Spine computed tomography; sagittal plane, index 153
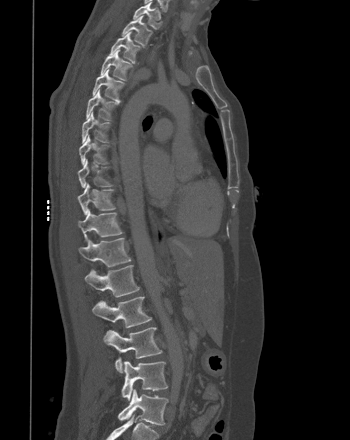
Each box given as x1,y1,x2,y2.
T1: x1=133, y1=0, x2=161, y2=29
T2: x1=122, y1=15, x2=152, y2=45
T3: x1=109, y1=31, x2=140, y2=62
T4: x1=100, y1=49, x2=132, y2=80
T5: x1=92, y1=68, x2=124, y2=101
T6: x1=86, y1=89, x2=118, y2=120
T7: x1=82, y1=111, x2=109, y2=142
T8: x1=79, y1=134, x2=108, y2=165
T9: x1=78, y1=159, x2=112, y2=187
T10: x1=77, y1=183, x2=115, y2=215
T11: x1=78, y1=208, x2=123, y2=240
T12: x1=78, y1=238, x2=131, y2=267
L1: x1=85, y1=265, x2=139, y2=297
L2: x1=92, y1=296, x2=151, y2=327
L3: x1=103, y1=327, x2=162, y2=372
L4: x1=121, y1=361, x2=167, y2=400
L5: x1=118, y1=389, x2=168, y2=425